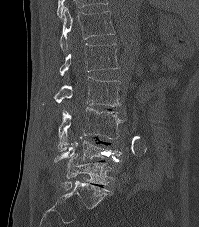

Spine CT; sagittal view; image 199 mm wide; Bone window (WL 400, WW 1800); 199x227 px

<vertebrae><v name="T12" x1="60" y1="8" x2="114" y2="51"/><v name="L1" x1="59" y1="43" x2="118" y2="75"/><v name="L2" x1="43" y1="77" x2="120" y2="106"/><v name="L3" x1="58" y1="107" x2="123" y2="152"/><v name="L4" x1="53" y1="137" x2="122" y2="164"/><v name="L5" x1="61" y1="154" x2="112" y2="190"/></vertebrae>